Spine computed tomography — sagittal reformat — bone-window reconstruction — 12 vertebrae labeled in this scan
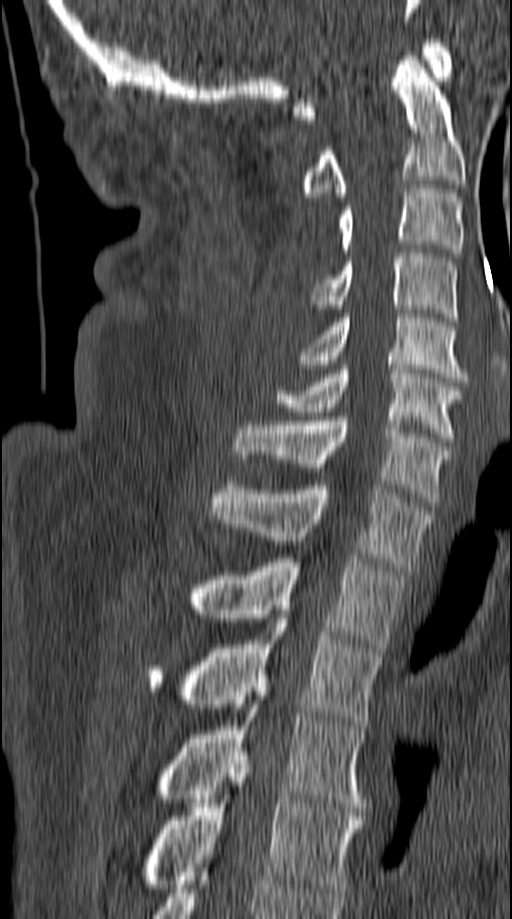 Boxes are (x1, y1, x2, y2) in pixels.
Vertebra bounding boxes:
- C1: (293, 39, 451, 119)
- C2: (300, 56, 464, 197)
- C3: (338, 185, 464, 257)
- C4: (313, 249, 457, 321)
- C5: (298, 314, 467, 381)
- C6: (276, 365, 463, 441)
- C7: (235, 417, 450, 502)
- T1: (207, 481, 430, 570)
- T2: (187, 554, 406, 652)
- T3: (149, 614, 382, 725)
- T4: (152, 700, 365, 807)
- T5: (142, 756, 364, 892)